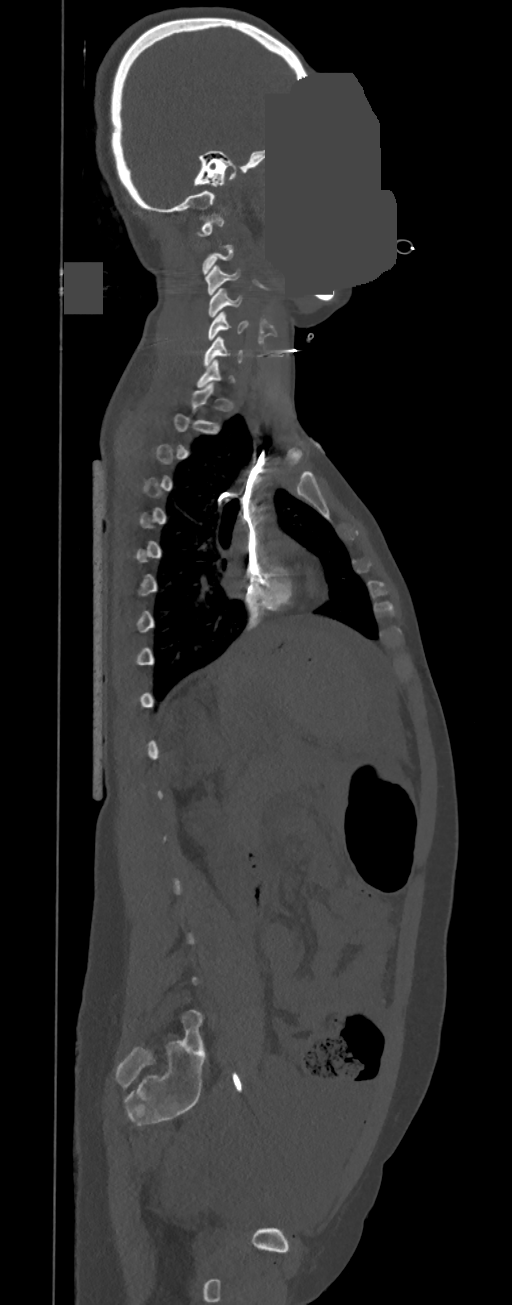

Spine CT; sagittal view; Bone window (WL 400, WW 1800); the image is 350 mm wide; 512x1305 px; a region of this slice is masked with a uniform fill
Box edges are left/top/right/bottom in pixels. Not every vertebra on this slice has a box: a vertebra is boxed only from the first to the last slice where its cross-section is at least a third of its largest, and this slice is outside that range for at least one of them. The labeled vertebrae in this slice are: C6 at left=203, top=336, right=243, bottom=366, C5 at left=207, top=311, right=248, bottom=340, C4 at left=207, top=288, right=242, bottom=316, C3 at left=205, top=265, right=240, bottom=295, C1 at left=197, top=215, right=224, bottom=236.